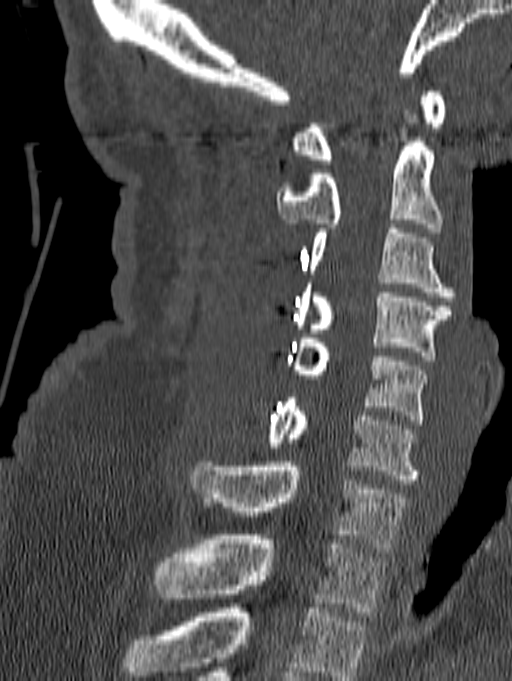
CT · sagittal view · 512x681 px
Boxes are (x1, y1, x2, y2) in pixels. This scan's labels start at C1 at the top and end at T1 at the bottom. 8 vertebrae labeled — T1 at (155, 535, 386, 616); C7 at (192, 462, 406, 552); C6 at (265, 398, 421, 484); C5 at (287, 338, 428, 424); C4 at (295, 283, 451, 360); C3 at (308, 229, 455, 301); C2 at (276, 110, 443, 232); C1 at (291, 91, 445, 164).